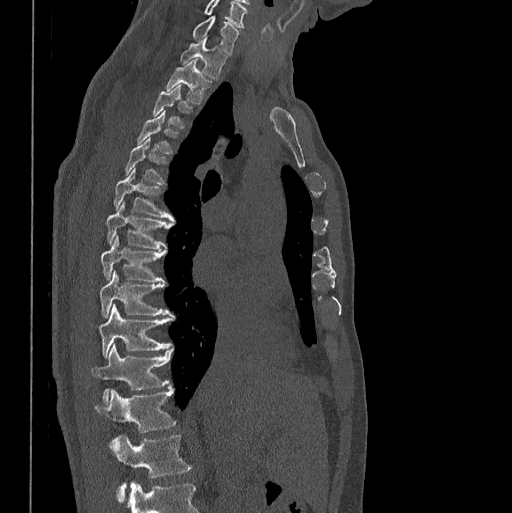

CT spine — sagittal view — W/L 1800/400 HU — 512x513 px

In the table, x1 and y1 are a box's top-left corner and x2 and y2 its bottom-right corner, in pixels.
The highest labeled vertebra in this scan is C7; the lowest is L1.
| vertebra | x1 | y1 | x2 | y2 |
|---|---|---|---|---|
| C7 | 193 | 16 | 238 | 53 |
| T1 | 180 | 38 | 227 | 79 |
| T2 | 166 | 59 | 211 | 103 |
| T3 | 153 | 85 | 192 | 128 |
| T4 | 138 | 111 | 176 | 153 |
| T5 | 125 | 138 | 165 | 184 |
| T6 | 113 | 168 | 174 | 221 |
| T7 | 107 | 201 | 173 | 249 |
| T8 | 100 | 235 | 164 | 282 |
| T9 | 100 | 271 | 174 | 317 |
| T10 | 98 | 304 | 173 | 358 |
| T11 | 91 | 344 | 173 | 403 |
| T12 | 95 | 387 | 175 | 432 |
| L1 | 110 | 434 | 192 | 501 |